CT. Sagittal slice 180/512. bone window. 512x696 px
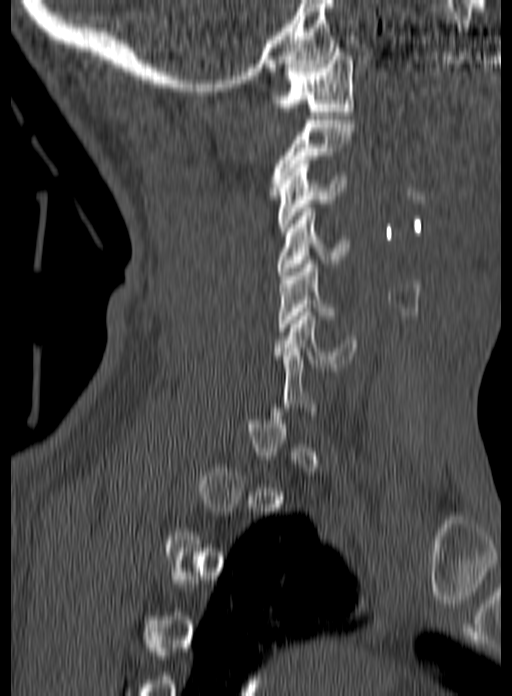
Box edges are left/top/right/bottom in pixels. Not every vertebra on this slice has a box: a vertebra is boxed only from the first to the last slice where its cross-section is at least a third of its largest, and this slice is outside that range for at least one of them. Vertebrae labeled: C1 at left=269, top=48, right=354, bottom=115, C2 at left=270, top=120, right=354, bottom=195, C3 at left=277, top=160, right=346, bottom=231, C4 at left=276, top=208, right=350, bottom=275, C5 at left=277, top=260, right=340, bottom=331, C6 at left=273, top=308, right=357, bottom=367.